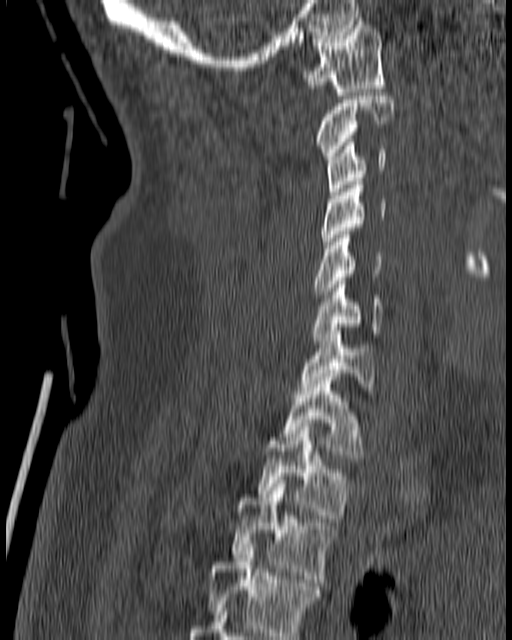

CT spine; sagittal reformat

Each vertebra maps to its box as [x1, y1, x2, y2], the pixel coordinates of its top-left and bottom-right corners.
{"vertebrae":{"T4":[204,544,318,639],"T3":[231,480,336,586],"T2":[257,423,350,518],"T1":[280,377,361,461],"C7":[300,331,375,394],"C6":[311,277,384,344],"C5":[312,235,381,294],"C4":[322,178,387,248],"C3":[327,139,387,195],"C2":[314,92,394,159],"C1":[302,21,384,95]}}